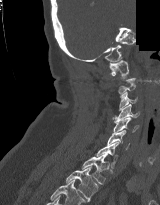 CT, spine. sagittal reformat. image 160 mm wide. 160x205 px. some of the image was removed or blocked out with constant pixels
Box values are [left, top, right, bottom] in pixels.
A vertebra is boxed only from the first to the last slice where its cross-section is at least a third of its largest; slices outside that range leave it without a box.
{"vertebrae":{"C1":[109,60,129,78],"C3":[118,92,137,111],"C4":[113,104,139,121],"C5":[112,117,139,134],"C6":[107,130,129,149],"C7":[96,142,118,168],"T1":[81,153,109,184],"T2":[66,166,98,201]}}